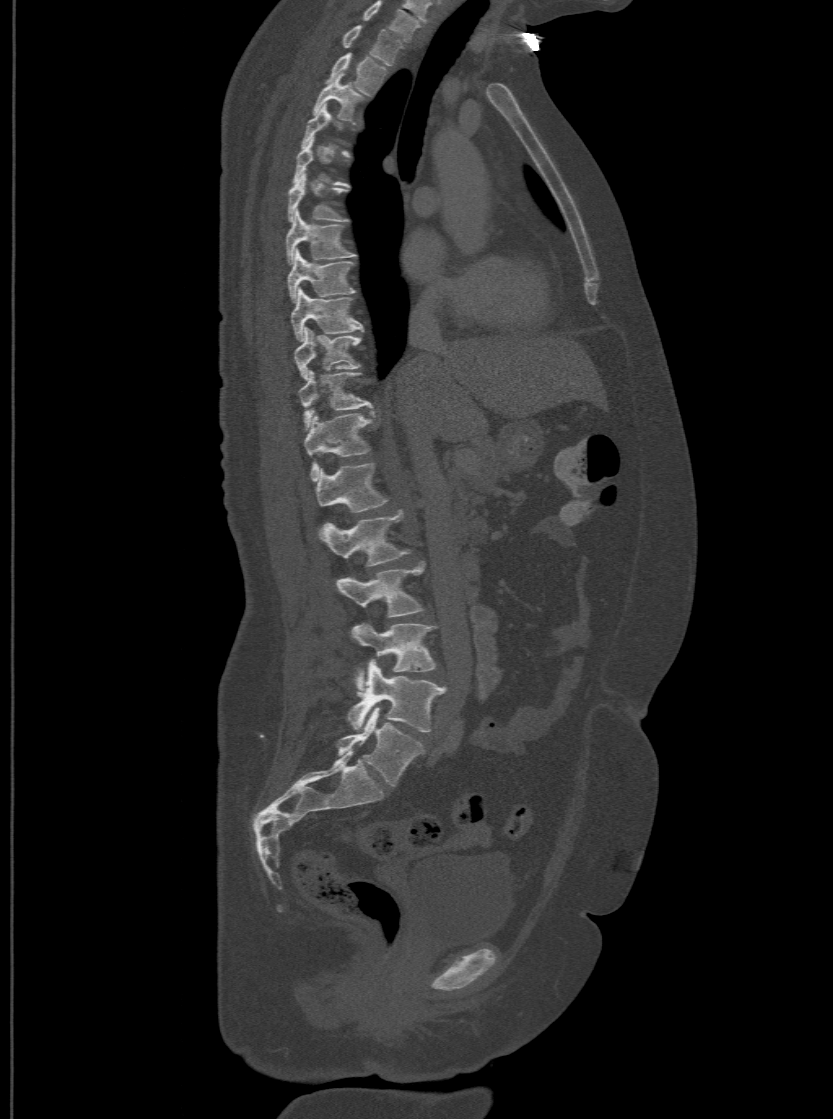
Computed tomography of the spine; sagittal view; 500 mm image width
Boxes below are [x1, y1, x2, y2] in pixels.
A vertebra is boxed only from the first to the last slice where its cross-section is at least a third of its largest; slices outside that range leave it without a box.
In this scan, the topmost labeled vertebra is T1 and the lowest is L6.
In these labels the spine has an L6, a sixth lumbar vertebra below L5.
{"vertebrae":{"T1":[342,25,403,64],"T2":[329,52,386,94],"T3":[312,73,362,121],"T6":[288,173,344,221],"T7":[285,210,355,262],"T8":[286,248,354,301],"T9":[290,288,362,339],"T10":[295,327,360,377],"T11":[298,370,370,429],"T12":[303,412,370,479],"L1":[316,462,388,511],"L2":[321,510,409,565],"L3":[337,563,424,617],"L4":[352,623,435,692],"L5":[347,659,443,732],"L6":[337,706,424,787]}}